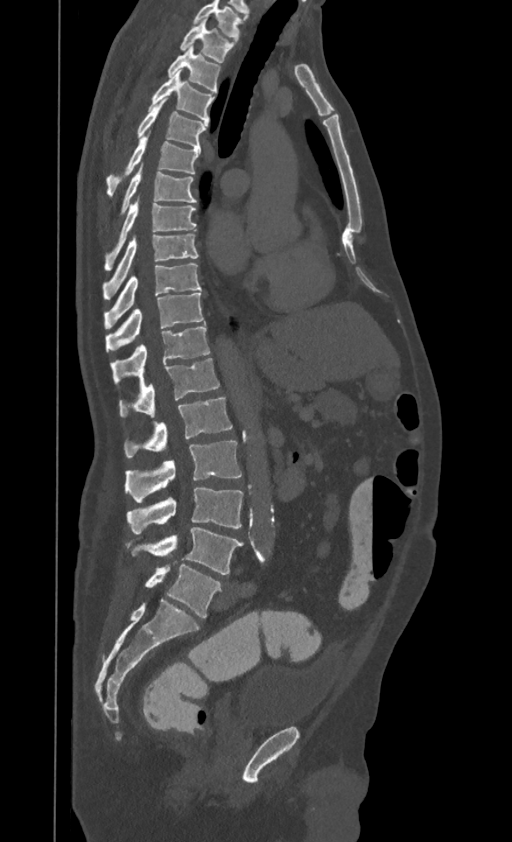
Spine computed tomography. sagittal view

Each box given as x1,y1,x2,y2.
This scan's labels start at T1 at the top and end at L4 at the bottom.
L4: x1=126, y1=527, x2=243, y2=574
L3: x1=127, y1=488, x2=243, y2=534
L2: x1=124, y1=441, x2=241, y2=502
L1: x1=124, y1=397, x2=232, y2=457
T12: x1=119, y1=358, x2=219, y2=417
T11: x1=110, y1=323, x2=210, y2=383
T10: x1=105, y1=293, x2=204, y2=351
T9: x1=104, y1=262, x2=201, y2=328
T8: x1=102, y1=233, x2=198, y2=296
T7: x1=105, y1=197, x2=196, y2=268
T6: x1=122, y1=163, x2=196, y2=212
T5: x1=106, y1=132, x2=200, y2=196
T4: x1=137, y1=98, x2=208, y2=148
T3: x1=149, y1=71, x2=214, y2=121
T2: x1=168, y1=45, x2=219, y2=92
T1: x1=180, y1=17, x2=235, y2=62